Spine computed tomography. sagittal reformat. 10 vertebrae labeled in this scan
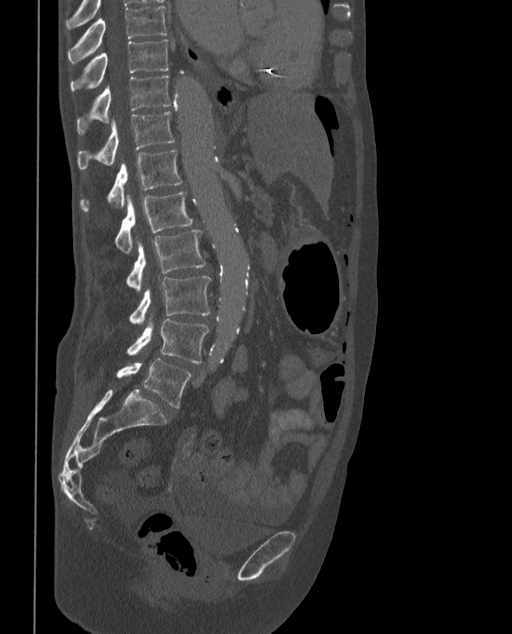 Coordinates as <box>x1,y1,x2,y2</box>.
These labels give the spine a sixth lumbar vertebra, L6, below L5.
T9: <box>67,5,168,63</box>
T10: <box>70,40,169,90</box>
T11: <box>77,74,170,135</box>
T12: <box>78,111,175,169</box>
L1: <box>79,149,181,211</box>
L2: <box>115,191,192,252</box>
L3: <box>126,230,206,291</box>
L4: <box>129,275,210,324</box>
L5: <box>127,320,209,362</box>
L6: <box>116,358,191,408</box>